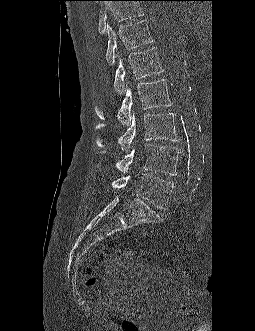

CT, spine · sagittal view · 255x331 px
No box is given to a vertebra that the top edge of the scan cuts off.
<vertebrae><v name="T12" x1="106" y1="20" x2="153" y2="65"/><v name="L1" x1="114" y1="47" x2="164" y2="94"/><v name="L2" x1="95" y1="79" x2="172" y2="125"/><v name="L3" x1="96" y1="110" x2="178" y2="152"/><v name="L4" x1="101" y1="143" x2="179" y2="175"/><v name="L5" x1="111" y1="173" x2="173" y2="209"/></vertebrae>